CT spine; sagittal plane, index 58; bone-window reconstruction
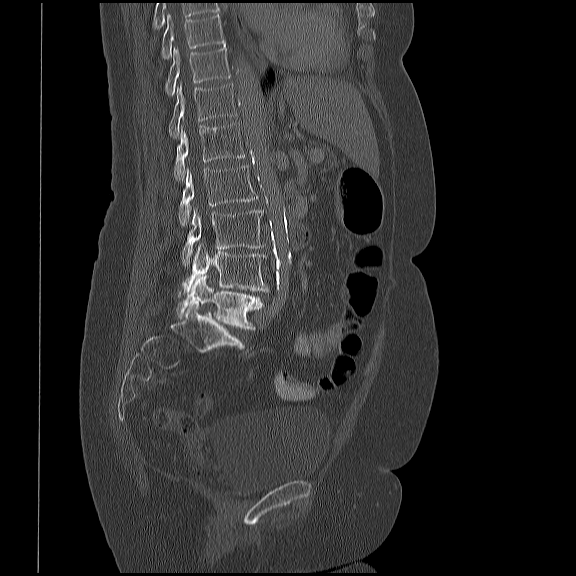

Box values are [left, top, right, bottom] in pixels.
{"vertebrae":{"T10":[161,13,225,59],"T11":[165,45,230,96],"T12":[168,83,237,138],"L1":[174,123,246,181],"L2":[178,164,258,225],"L3":[181,208,265,266],"L4":[179,244,269,295],"L5":[176,275,263,329]}}